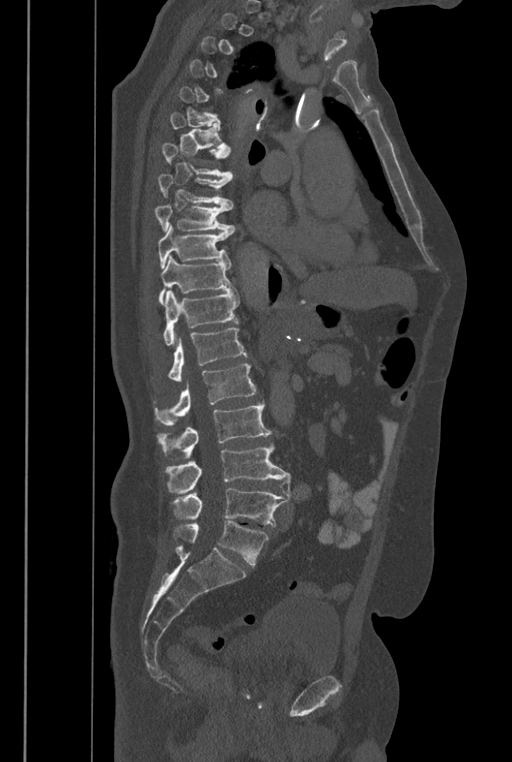 Computed tomography of the spine; sagittal view; 512x762 px; the image is 446 mm wide
Each box is [x1, y1, x2, y2] in pixels: top-left corner, then bottom-right corner.
Not every vertebra on this slice has a box: a vertebra is boxed only from the first to the last slice where its cross-section is at least a third of its largest, and this slice is outside that range for at least one of them.
The labels name a sixth lumbar vertebra for this spine: L6, after L5.
{"vertebrae":{"T7":[162,143,233,180],"T8":[158,174,233,210],"T9":[154,204,235,234],"T10":[158,225,232,269],"T11":[158,255,234,305],"T12":[163,289,239,345],"L1":[168,328,247,381],"L2":[154,363,256,427],"L3":[156,401,271,460],"L4":[164,444,290,497],"L5":[171,488,287,526],"L6":[173,521,268,565]}}